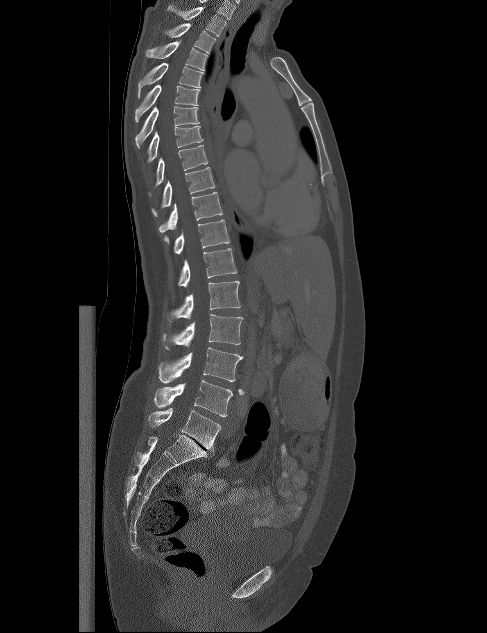

CT spine; image width 487 mm; sagittal view; bone window; 487x633 px
Boxes are (x1, y1, x2, y2) in pixels.
Vertebra bounding boxes:
- L5: (148, 408, 221, 451)
- L4: (154, 380, 232, 416)
- L3: (158, 347, 242, 383)
- L2: (162, 314, 243, 349)
- L1: (167, 281, 240, 321)
- T12: (178, 248, 237, 287)
- T11: (173, 219, 230, 253)
- T10: (158, 192, 222, 232)
- T9: (151, 167, 215, 216)
- T8: (154, 145, 208, 186)
- T7: (147, 126, 203, 162)
- T6: (135, 106, 199, 148)
- T5: (135, 85, 200, 122)
- T4: (138, 62, 204, 98)
- T3: (146, 40, 208, 70)
- T2: (165, 23, 216, 53)
- T1: (167, 4, 226, 36)